Spine computed tomography; sagittal reformat; Bone window (WL 400, WW 1800)
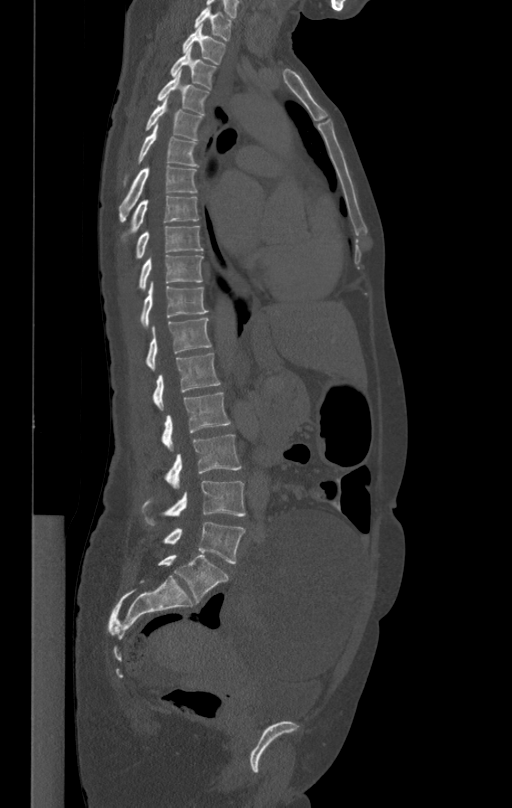

Each box given as x1,y1,x2,y2. Vertebrae labeled: T1 at x1=195, y1=7, x2=231, y2=39, T2 at x1=183, y1=25, x2=225, y2=64, T3 at x1=170, y1=48, x2=216, y2=88, T4 at x1=157, y1=72, x2=209, y2=115, T5 at x1=145, y1=96, x2=201, y2=140, T6 at x1=124, y1=125, x2=198, y2=184, T7 at x1=119, y1=166, x2=196, y2=222, T8 at x1=122, y1=196, x2=199, y2=241, T9 at x1=135, y1=226, x2=203, y2=258, T10 at x1=139, y1=255, x2=203, y2=288, T11 at x1=140, y1=282, x2=208, y2=327, T12 at x1=145, y1=318, x2=211, y2=369, L1 at x1=153, y1=352, x2=220, y2=411, L2 at x1=161, y1=393, x2=230, y2=450, L3 at x1=165, y1=435, x2=241, y2=489, L4 at x1=142, y1=481, x2=245, y2=525, L5 at x1=162, y1=521, x2=245, y2=563.